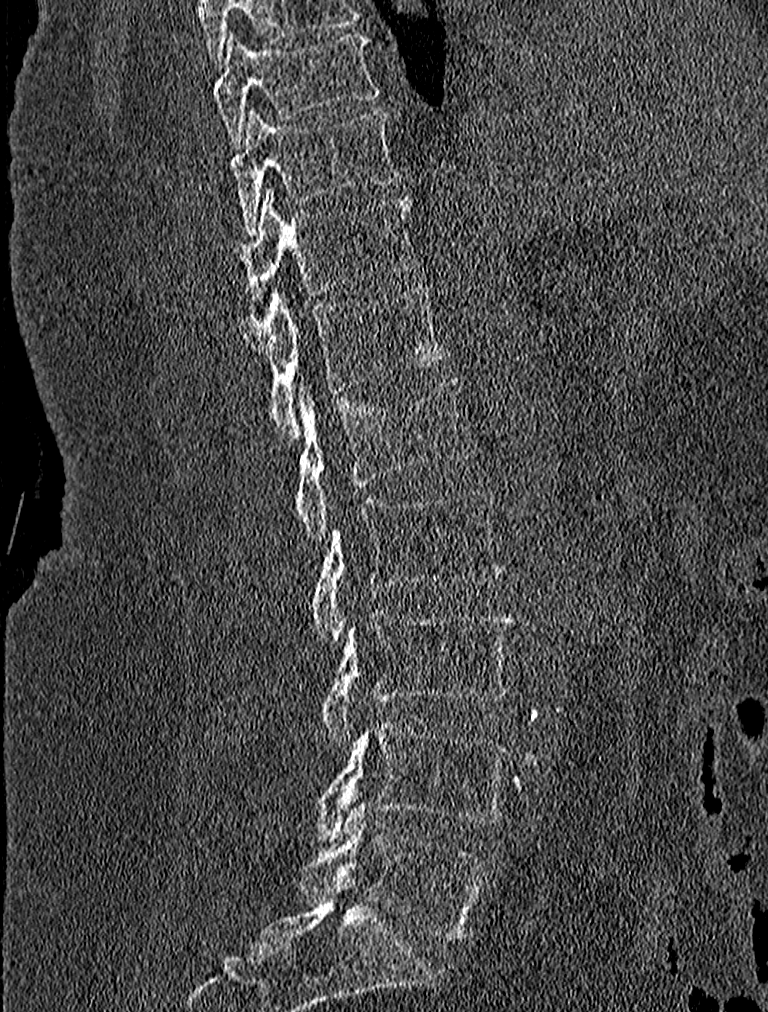
Computed tomography of the spine — sagittal view — image width 227 mm

Columns x1, y1, x2, y2 give each box's top-left and bottom-right pixels.
| vertebra | x1 | y1 | x2 | y2 |
|---|---|---|---|---|
| L5 | 300 | 801 | 488 | 941 |
| L4 | 306 | 719 | 510 | 839 |
| L3 | 320 | 611 | 512 | 745 |
| L2 | 310 | 487 | 505 | 643 |
| L1 | 297 | 379 | 475 | 544 |
| T12 | 252 | 285 | 448 | 441 |
| T11 | 232 | 187 | 414 | 299 |
| T10 | 229 | 108 | 400 | 232 |
| T9 | 212 | 30 | 380 | 148 |